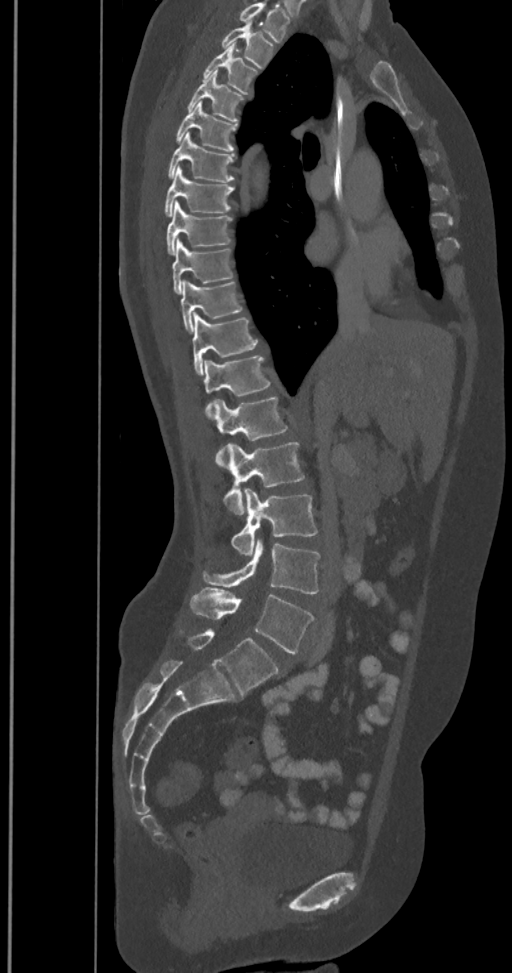

Spine CT; sagittal view; Bone window (WL 400, WW 1800)
This scan's labels start at T2 at the top and end at L6 at the bottom.
These labels give the spine a sixth lumbar vertebra, L6, below L5.
<vertebrae><v name="T2" x1="221" y1="24" x2="274" y2="67"/><v name="T3" x1="203" y1="45" x2="258" y2="94"/><v name="T4" x1="187" y1="71" x2="245" y2="123"/><v name="T5" x1="175" y1="101" x2="237" y2="152"/><v name="T6" x1="168" y1="132" x2="234" y2="182"/><v name="T7" x1="164" y1="167" x2="234" y2="216"/><v name="T8" x1="167" y1="203" x2="233" y2="254"/><v name="T9" x1="172" y1="238" x2="234" y2="294"/><v name="T10" x1="180" y1="279" x2="243" y2="332"/><v name="T11" x1="192" y1="312" x2="258" y2="374"/><v name="T12" x1="203" y1="355" x2="271" y2="419"/><v name="L1" x1="215" y1="396" x2="293" y2="468"/><v name="L2" x1="224" y1="442" x2="305" y2="514"/><v name="L3" x1="231" y1="488" x2="318" y2="555"/><v name="L4" x1="202" y1="538" x2="321" y2="593"/><v name="L5" x1="190" y1="587" x2="315" y2="653"/><v name="L6" x1="184" y1="628" x2="280" y2="695"/></vertebrae>